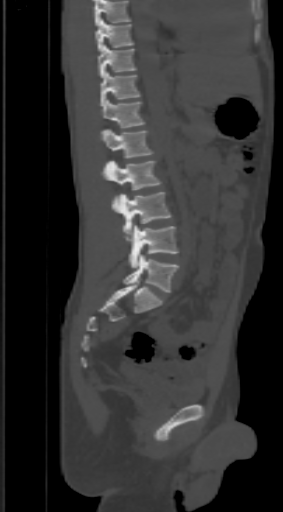 CT spine · 303 mm wide · sagittal view · Bone window (WL 400, WW 1800)
Each vertebra maps to its box as [x1, y1, x2, y2], the pixel coordinates of its top-left and bottom-right corners.
No box is given to a vertebra that the top edge of the scan cuts off.
{"vertebrae":{"T9":[95,18,133,52],"T10":[98,44,136,77],"T11":[101,71,139,106],"T12":[104,99,145,128],"L1":[101,128,153,157],"L2":[101,160,161,190],"L3":[112,192,173,234],"L4":[126,225,178,268],"L5":[123,254,178,292]}}